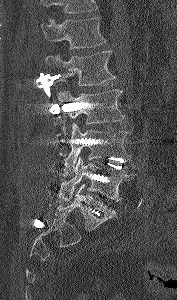
CT, spine. image width 177 mm. sagittal reformat. 177x300 px
Boxes: x1:y1:x2:y2 in pixels.
A vertebra cut off by the top edge of the scan is not labeled and has no box.
L5: 58:156:133:202
L4: 64:123:130:172
L3: 55:89:125:140
L2: 45:50:116:85
L1: 42:17:106:49